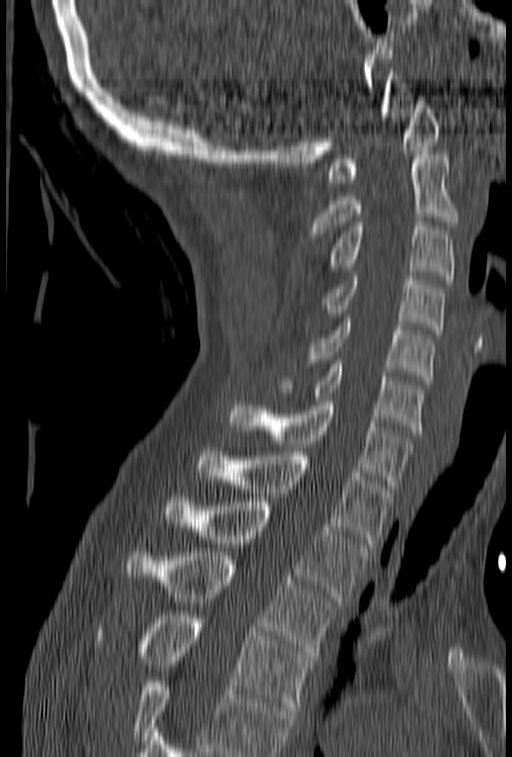
Computed tomography of the spine. sagittal reformat. W/L 1800/400 HU
In the table, x1 and y1 are a box's top-left corner and x2 and y2 its bottom-right corner, in pixels.
No box is given to a vertebra that the bottom edge of the scan cuts off.
| vertebra | x1 | y1 | x2 | y2 |
|---|---|---|---|---|
| C1 | 326 | 96 | 439 | 183 |
| C2 | 309 | 151 | 457 | 237 |
| C3 | 325 | 218 | 455 | 279 |
| C4 | 322 | 276 | 445 | 334 |
| C5 | 306 | 314 | 435 | 380 |
| C6 | 278 | 360 | 425 | 434 |
| C7 | 229 | 397 | 412 | 488 |
| T1 | 198 | 448 | 392 | 547 |
| T2 | 164 | 498 | 372 | 601 |
| T3 | 127 | 552 | 335 | 660 |
| T4 | 95 | 615 | 314 | 710 |